Spine CT. sagittal view. image 446 mm wide. Bone window (WL 400, WW 1800). 512x762 px
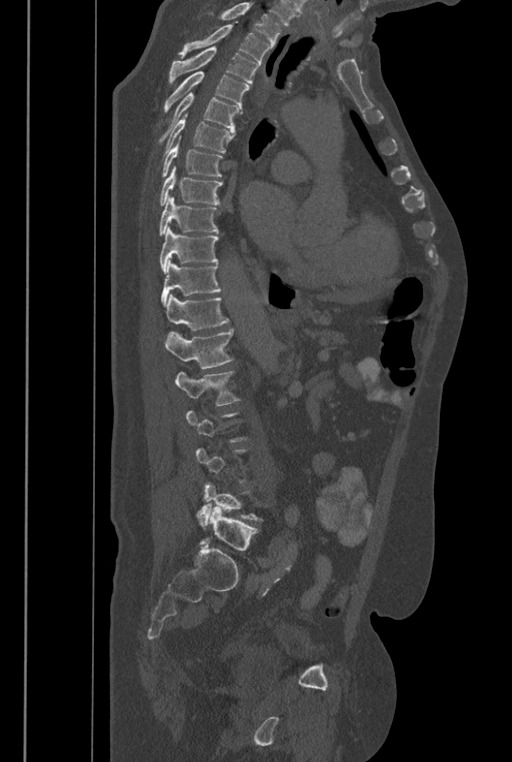

Boxes are (x1, y1, x2, y2) in pixels.
A vertebra is boxed only from the first to the last slice where its cross-section is at least a third of its largest; slices outside that range leave it without a box.
No box is given to a vertebra that the top edge of the scan cuts off.
In these labels the spine has an L6, a sixth lumbar vertebra below L5.
L6: (199, 506, 258, 551)
L5: (195, 481, 263, 528)
L2: (175, 371, 241, 406)
L1: (165, 329, 233, 368)
T12: (165, 293, 230, 330)
T11: (161, 261, 220, 306)
T10: (159, 227, 219, 273)
T9: (158, 196, 218, 236)
T8: (159, 166, 224, 206)
T7: (161, 135, 223, 177)
T6: (160, 113, 234, 161)
T5: (158, 92, 240, 143)
T4: (163, 71, 250, 113)
T3: (169, 46, 258, 84)
T2: (179, 25, 270, 63)